Computed tomography of the spine. Sagittal slice 312/512
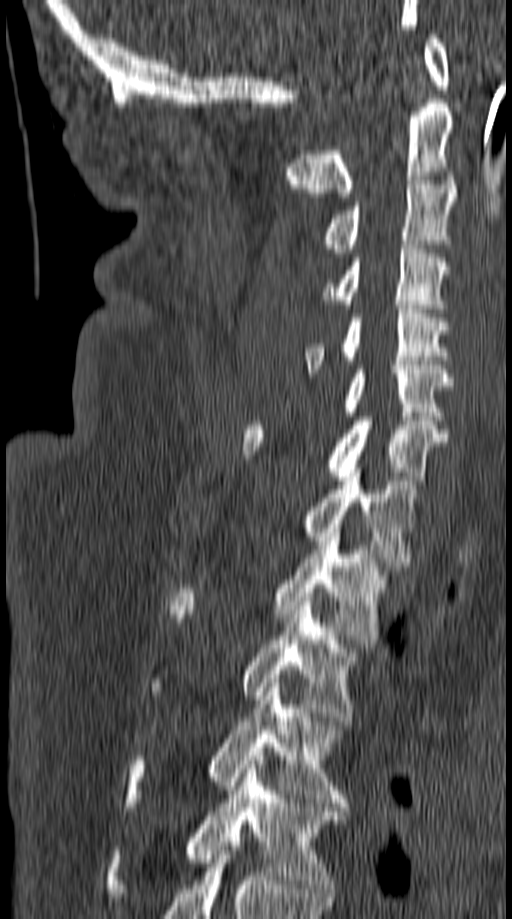 Each box given as x1,y1,x2,y2.
| vertebra | x1 | y1 | x2 | y2 |
|---|---|---|---|---|
| C1 | 424 | 34 | 450 | 89 |
| C2 | 286 | 99 | 454 | 197 |
| C3 | 322 | 180 | 455 | 257 |
| C4 | 323 | 245 | 447 | 308 |
| C5 | 304 | 305 | 451 | 373 |
| C6 | 282 | 365 | 453 | 420 |
| C7 | 242 | 417 | 446 | 480 |
| T1 | 304 | 468 | 417 | 566 |
| T2 | 170 | 528 | 385 | 648 |
| T3 | 150 | 597 | 358 | 721 |
| T4 | 125 | 683 | 347 | 807 |
| T5 | 108 | 760 | 345 | 897 |